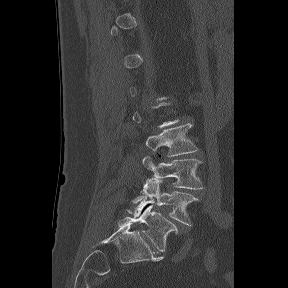
CT spine · sagittal view

A vertebra is boxed only from the first to the last slice where its cross-section is at least a third of its largest; slices outside that range leave it without a box.
The labels name a sixth lumbar vertebra for this spine: L6, after L5.
<vertebrae><v name="L3" x1="145" y1="123" x2="198" y2="156"/><v name="L4" x1="140" y1="155" x2="203" y2="194"/><v name="L5" x1="132" y1="178" x2="199" y2="225"/><v name="L6" x1="118" y1="205" x2="177" y2="251"/></vertebrae>